CT; sagittal reformat; 512x640 px; scan covers 11 annotated vertebrae
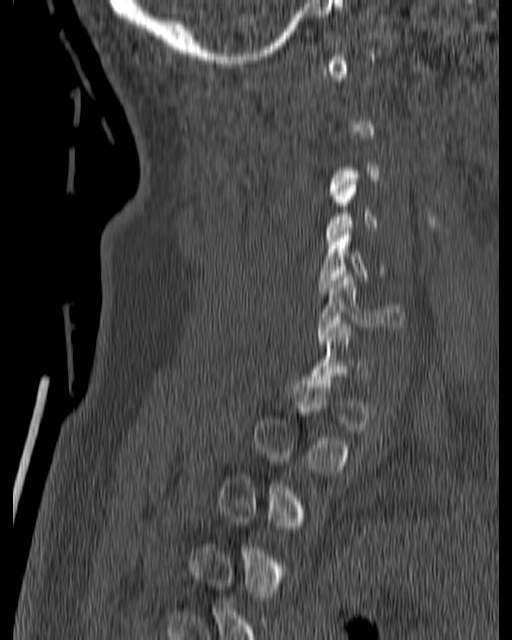

Box edges are left/top/right/bottom in pixels.
Each vertebra is boxed only on the slices from the first to the last where its cross-section reaches a third of its largest, so a slice outside that range leaves it unboxed.
Vertebra bounding boxes:
- C4: left=325, top=178, right=378, bottom=244
- C5: left=317, top=231, right=390, bottom=294
- C6: left=317, top=274, right=403, bottom=344